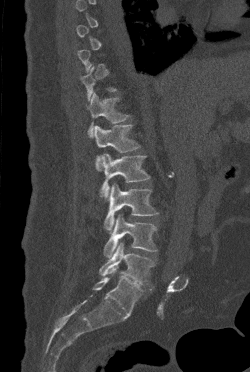 CT spine · sagittal view · Bone window (WL 400, WW 1800)

Each box given as x1,y1,x2,y2. Each vertebra is boxed only on the slices from the first to the last where its cross-section reaches a third of its largest, so a slice outside that range leaves it unboxed. The labeled vertebrae in this slice are: L5 at x1=99, y1=242, x2=154, y2=284, L4 at x1=104, y1=214, x2=157, y2=257, L3 at x1=104, y1=183, x2=158, y2=232, L2 at x1=100, y1=153, x2=150, y2=200, L1 at x1=94, y1=124, x2=140, y2=170, T12 at x1=87, y1=92, x2=129, y2=136.